CT — sagittal plane, index 46 — bone-window reconstruction — 196x196 px — scan covers 4 annotated vertebrae — 196 mm across the image
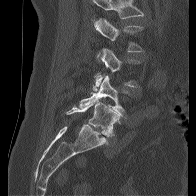 Boxes are given in columns x1, y1, x2, y2, the pixel coordinates of their top-left and bottom-right corners.
A vertebra cut off by the top edge of the scan is not labeled and has no box.
| vertebra | x1 | y1 | x2 | y2 |
|---|---|---|---|---|
| L2 | 94 | 18 | 144 | 52 |
| L3 | 93 | 48 | 140 | 90 |
| L4 | 79 | 74 | 130 | 115 |
| L5 | 66 | 100 | 120 | 136 |